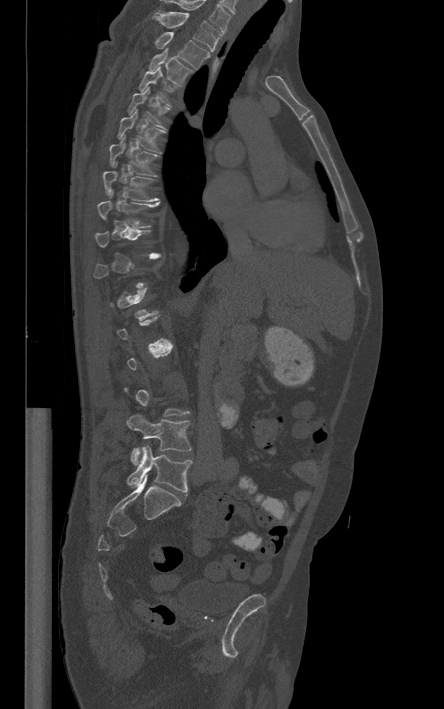 CT spine; sagittal reformat

Boxes: x1:y1:x2:y2 in pixels.
Not every vertebra on this slice has a box: a vertebra is boxed only from the first to the last slice where its cross-section is at least a third of its largest, and this slice is outside that range for at least one of them.
The highest labeled vertebra in this scan is T1; the lowest is L5.
T1: 153:12:220:51
T2: 155:32:210:68
T3: 149:48:192:85
T4: 139:67:176:106
T5: 127:86:169:127
T6: 117:110:165:153
T7: 110:135:157:176
T8: 103:162:157:201
T9: 97:201:159:228
L4: 127:414:191:464
L5: 127:445:191:492